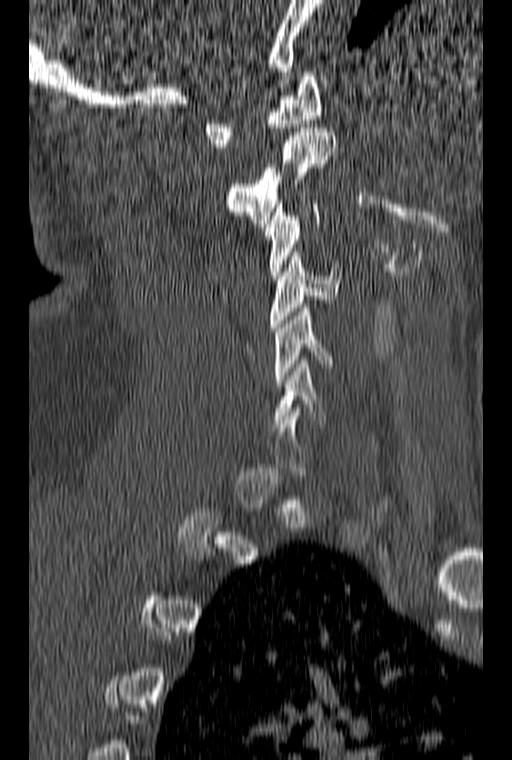
CT, spine; sagittal view; W/L 1800/400 HU; 512x760 px
Box values are [left, top, right, bottom] in pixels.
Each vertebra is boxed only on the slices from the first to the last where its cross-section reaches a third of its largest, so a slice outside that range leaves it unboxed.
{"vertebrae":{"C1":[202,72,321,147],"C2":[226,128,338,223],"C3":[264,200,320,279],"C4":[270,252,339,331],"C5":[273,304,334,387],"C6":[272,360,327,427]}}